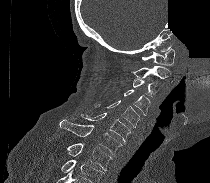

Spine computed tomography · sagittal view · an area of the scan was removed and filled with constant pixels
Box edges are left/top/right/bottom in pixels. Vertebrae that run past the bottom of the scan are left unlabeled. 8 vertebrae labeled — C1 at left=142, top=48, right=175, bottom=65; C2 at left=131, top=66, right=170, bottom=79; C3 at left=132, top=78, right=163, bottom=98; C4 at left=124, top=89, right=150, bottom=115; C5 at left=94, top=100, right=139, bottom=127; C6 at left=80, top=112, right=131, bottom=144; C7 at left=59, top=119, right=122, bottom=156; T1 at left=49, top=140, right=112, bottom=171.